CT spine — the image spans 186 mm across — sagittal plane, index 27
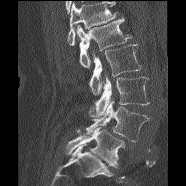

Bounding boxes as [x1, y1, x2, y2] in pixel coordinates.
Vertebrae that run past the top of the scan are left unlabeled.
L1: [76, 17, 132, 67]
L2: [89, 44, 141, 94]
L3: [88, 74, 149, 117]
L4: [86, 98, 149, 141]
L5: [65, 127, 124, 167]